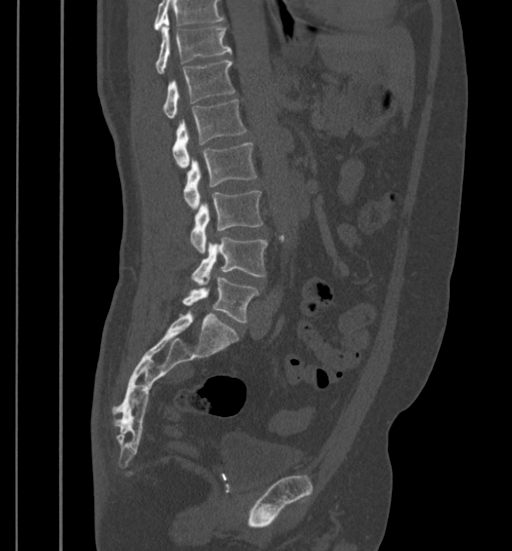

CT, spine. sagittal view. Boxes: x1 y1 x2 y2 (pixel coords, space-separated). Where the top of the scan cuts through a vertebra, that vertebra gets no label or box. The labeled vertebrae in this slice are: T11 at 155 18 231 73, T12 at 163 60 235 119, L1 at 172 99 247 168, L2 at 183 142 257 209, L3 at 190 190 262 253, L4 at 191 237 267 284, L5 at 182 277 258 322.